Spine CT. sagittal reformat. bone window. scan covers 19 annotated vertebrae
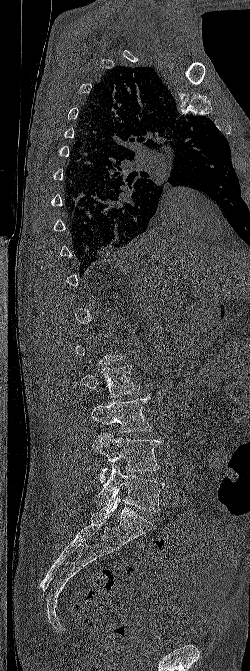
A vertebra gets a box only on the slices from the first to the last where its cross-section is at least a third of its largest; on a slice outside that range it gets none.
<vertebrae><v name="L5" x1="95" y1="464" x2="164" y2="511"/><v name="L4" x1="92" y1="432" x2="159" y2="482"/><v name="L3" x1="90" y1="396" x2="151" y2="432"/><v name="L2" x1="80" y1="365" x2="140" y2="397"/></vertebrae>